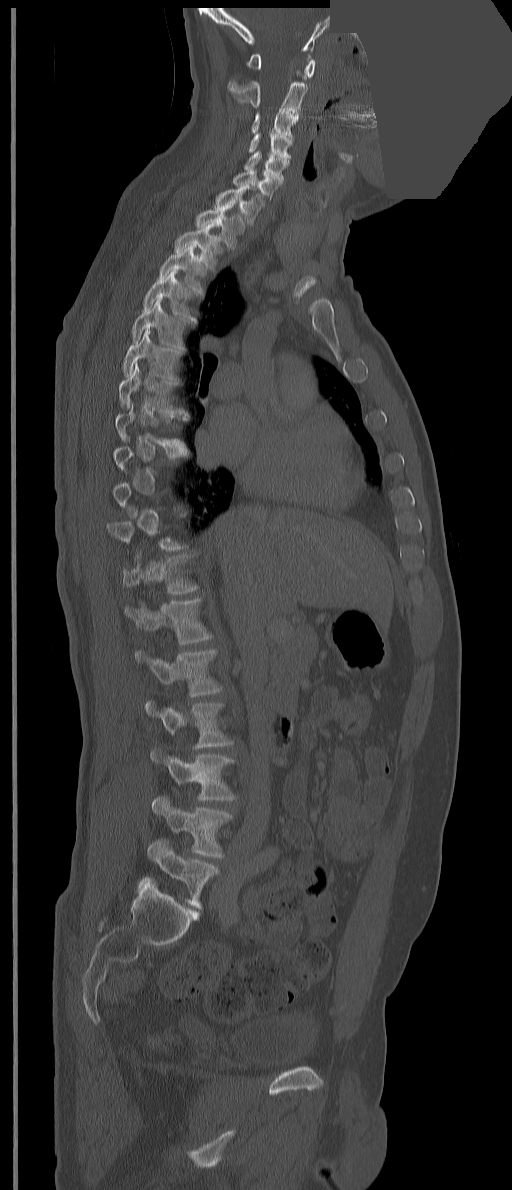

CT spine; the image spans 351 mm across; sagittal view; a region is masked with a constant gray value
Each vertebra maps to its box as [x1, y1, x2, y2], the pixel coordinates of its top-left and bottom-right corners.
Each vertebra is boxed only on the slices from the first to the last where its cross-section reaches a third of its largest, so a slice outside that range leaves it unboxed.
The labels name an extra thoracic vertebra here, T13, which comes after T12 and before L1.
{"vertebrae":{"L5":[138,839,218,908],"L4":[152,796,231,857],"L3":[150,750,236,800],"L2":[145,700,233,749],"L1":[134,649,221,696],"T13":[124,598,212,644],"T12":[123,554,198,594],"T8":[115,402,188,453],"T7":[118,362,191,418],"T6":[123,329,182,380],"T5":[131,298,189,350],"T4":[143,269,197,322],"T3":[159,244,206,294],"T2":[174,224,223,271],"T1":[195,203,244,250],"C7":[215,185,265,223],"C6":[232,169,281,198],"C5":[244,151,289,180],"C4":[249,131,292,158],"C3":[251,110,298,139],"C2":[227,70,307,113],"C1":[246,53,314,77]}}